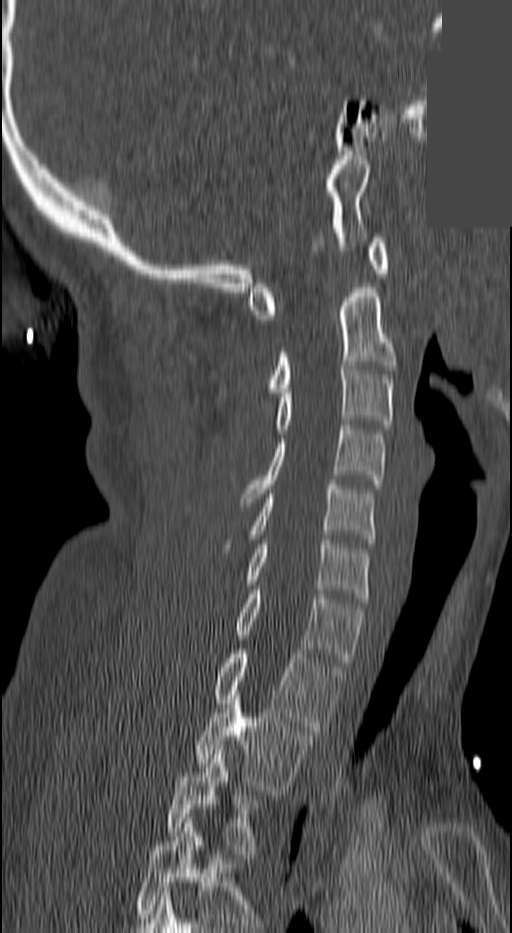
Spine computed tomography — sagittal reformat — 512x933 px — a uniform gray block covers part of the image. Bounding boxes as [x1, y1, x2, y2] in pixel coordinates. Labels in this scan begin with C1 at the top and end with T3 at the bottom. 10 vertebrae labeled — T3 at [166, 750, 260, 858]; T2 at [195, 695, 311, 794]; T1 at [213, 649, 340, 730]; C7 at [235, 590, 362, 666]; C6 at [246, 539, 370, 602]; C5 at [246, 485, 373, 543]; C4 at [241, 425, 384, 502]; C3 at [256, 366, 392, 452]; C2 at [268, 283, 395, 397]; C1 at [246, 238, 388, 319].